CT spine · 174 mm across the image · sagittal reformat
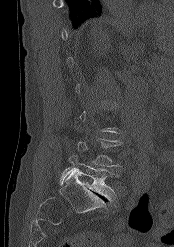

Box values are [left, top, right, bottom] in pixels.
A vertebra gets a box only on the slices from the first to the last where its cross-section is at least a third of its largest; on a slice outside that range it gets none.
{"vertebrae":{"L4":[77,138,120,166],"L5":[59,155,117,201]}}